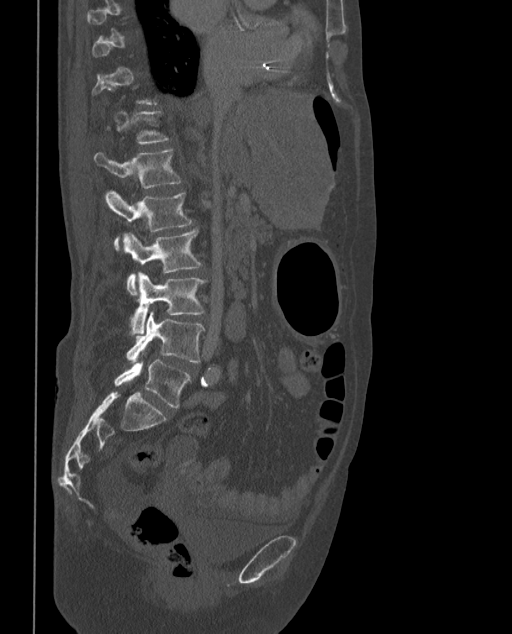

Computed tomography of the spine · sagittal view
A vertebra is boxed only from the first to the last slice where its cross-section is at least a third of its largest; slices outside that range leave it without a box.
The labels name a sixth lumbar vertebra for this spine: L6, after L5.
<vertebrae><v name="L1" x1="95" y1="149" x2="181" y2="188"/><v name="L2" x1="106" y1="190" x2="192" y2="250"/><v name="L3" x1="124" y1="229" x2="202" y2="295"/><v name="L4" x1="130" y1="273" x2="206" y2="335"/><v name="L5" x1="126" y1="311" x2="205" y2="362"/><v name="L6" x1="114" y1="359" x2="191" y2="408"/></vertebrae>